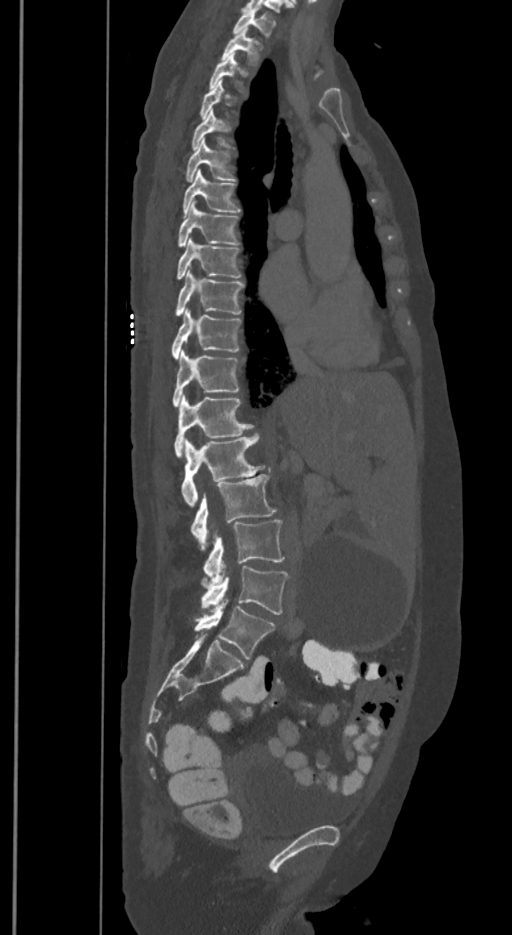 Spine computed tomography. sagittal view. W/L 1800/400 HU. 512x935 px
Boxes below are [x1, y1, x2, y2] in pixels.
A vertebra gets a box only on the slices from the first to the last where its cross-section is at least a third of its largest; on a slice outside that range it gets none.
The labels name a sixth lumbar vertebra for this spine: L6, after L5.
{"vertebrae":{"T1":[232,9,275,38],"T2":[221,29,262,65],"T3":[209,53,245,91],"T5":[191,109,230,150],"T6":[186,140,236,181],"T7":[183,170,240,218],"T8":[177,201,239,247],"T9":[177,238,242,278],"T10":[175,273,243,315],"T11":[171,311,242,358],"T12":[172,352,239,406],"L1":[174,396,253,457],"L2":[181,434,265,506],"L3":[190,474,277,549],"L4":[202,520,284,582],"L5":[200,566,288,614],"L6":[194,600,275,659]}}